CT, spine. sagittal plane, index 76. 173 mm across the image. scan covers 8 annotated vertebrae. part of the image is constant black where the scan was masked
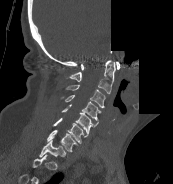 Boxes are given in columns x1, y1, x2, y2, the pixel coordinates of their top-left and bottom-right corners.
Labels in this scan begin with C1 at the top and end with T1 at the bottom.
| vertebra | x1 | y1 | x2 | y2 |
|---|---|---|---|---|
| C1 | 81 | 61 | 120 | 70 |
| C2 | 69 | 60 | 115 | 93 |
| C3 | 66 | 85 | 105 | 107 |
| C4 | 60 | 95 | 101 | 120 |
| C5 | 61 | 104 | 98 | 133 |
| C6 | 52 | 118 | 88 | 144 |
| C7 | 47 | 130 | 78 | 152 |
| T1 | 39 | 140 | 65 | 160 |